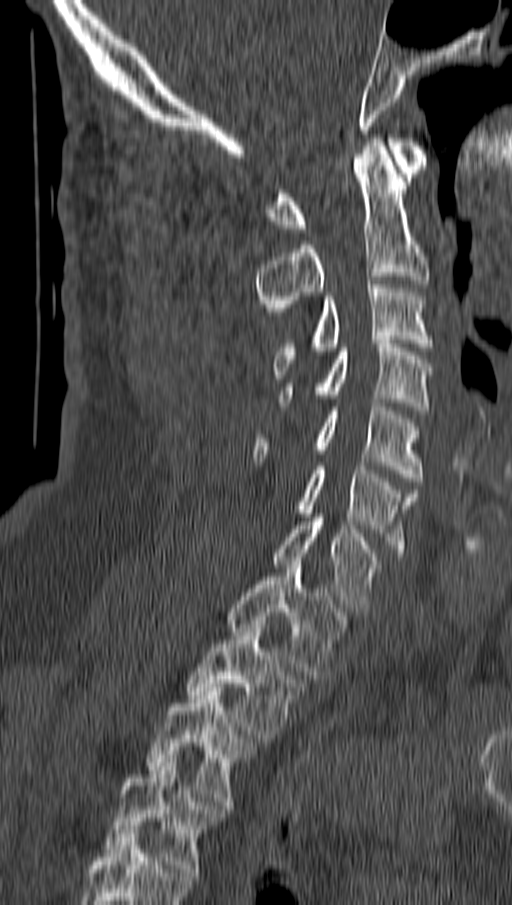

CT spine — sagittal reformat

Coordinates as <box>x1,y1,x2,y2</box>.
Vertebra bounding boxes:
- C1: <box>267,138,426,232</box>
- C2: <box>257,138,430,315</box>
- C3: <box>274,280,433,374</box>
- C4: <box>279,340,433,414</box>
- C5: <box>254,403,420,485</box>
- C6: <box>295,462,418,556</box>
- C7: <box>273,518,379,611</box>
- T1: <box>225,561,348,679</box>
- T2: <box>184,620,307,742</box>
- T3: <box>146,687,256,809</box>
- T4: <box>102,759,221,876</box>